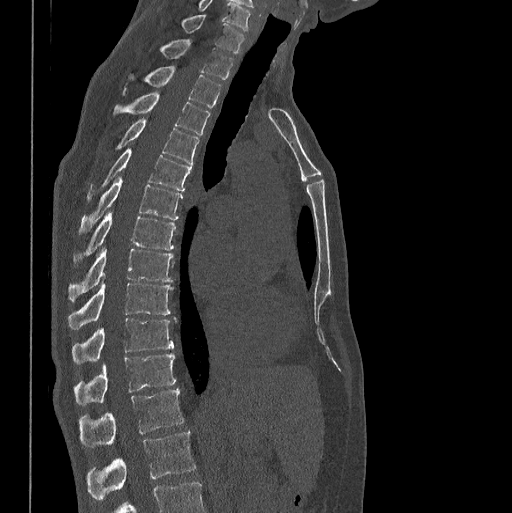 CT spine; sagittal view
Labels in this scan begin with C7 at the top and end with L1 at the bottom.
<vertebrae><v name="C7" x1="180" y1="14" x2="243" y2="52"/><v name="T1" x1="158" y1="39" x2="233" y2="80"/><v name="T2" x1="123" y1="65" x2="220" y2="108"/><v name="T3" x1="113" y1="93" x2="210" y2="134"/><v name="T4" x1="114" y1="118" x2="198" y2="165"/><v name="T5" x1="86" y1="147" x2="192" y2="202"/><v name="T6" x1="78" y1="176" x2="182" y2="235"/><v name="T7" x1="73" y1="212" x2="175" y2="268"/><v name="T8" x1="68" y1="247" x2="173" y2="301"/><v name="T9" x1="68" y1="280" x2="173" y2="329"/><v name="T10" x1="72" y1="318" x2="174" y2="364"/><v name="T11" x1="73" y1="353" x2="175" y2="405"/><v name="T12" x1="78" y1="388" x2="183" y2="447"/><v name="L1" x1="86" y1="432" x2="196" y2="500"/></vertebrae>